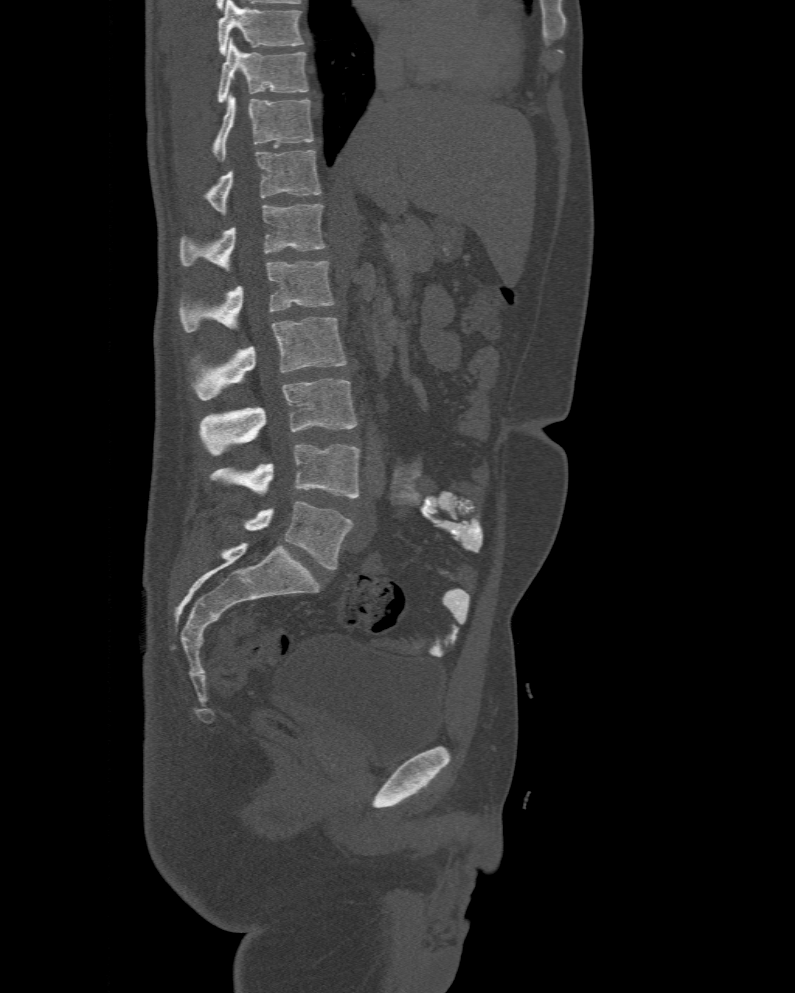

Spine CT — sagittal view — 795x993 px. Bounding boxes as [x1, y1, x2, y2] in pixel coordinates.
In this scan, the topmost labeled vertebra is T10 and the lowest is L6.
The labels name a sixth lumbar vertebra for this spine: L6, after L5.
Vertebra bounding boxes:
- L6: [245, 502, 353, 569]
- L5: [210, 443, 359, 497]
- L4: [200, 378, 358, 456]
- L3: [189, 317, 345, 400]
- L2: [179, 260, 336, 332]
- L1: [180, 203, 325, 270]
- T12: [203, 150, 320, 214]
- T11: [211, 97, 313, 161]
- T10: [217, 38, 310, 102]